Computed tomography of the spine. sagittal view. the image is 445 mm wide. W/L 1800/400 HU
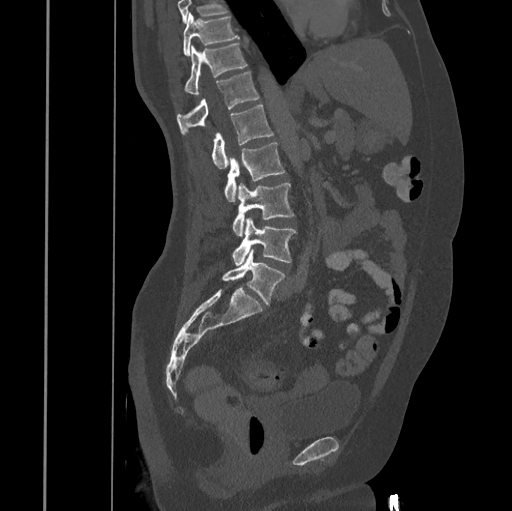 Boxes are given in columns x1, y1, x2, y2, the pixel coordinates of their top-left and bottom-right corners.
No box is given to a vertebra that the top edge of the scan cuts off.
| vertebra | x1 | y1 | x2 | y2 |
|---|---|---|---|---|
| T10 | 183 | 13 | 238 | 55 |
| T11 | 184 | 43 | 246 | 94 |
| T12 | 177 | 72 | 259 | 134 |
| L1 | 212 | 105 | 273 | 168 |
| L2 | 224 | 143 | 284 | 201 |
| L3 | 232 | 182 | 293 | 236 |
| L4 | 232 | 218 | 296 | 266 |
| L5 | 222 | 249 | 285 | 304 |